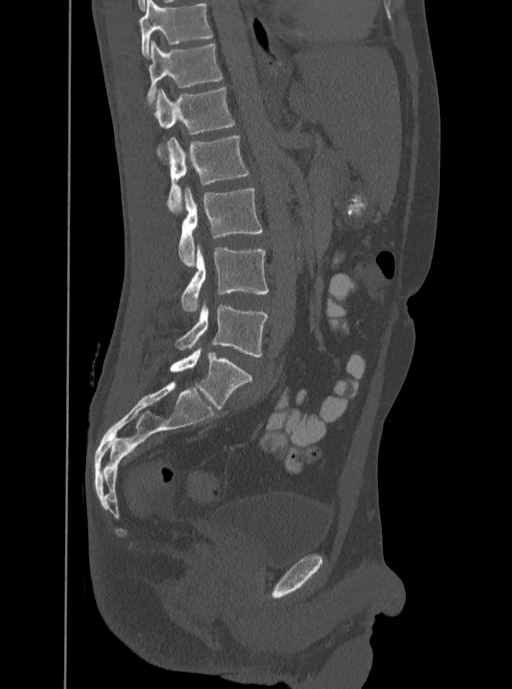 Spine CT · sagittal view · bone-window reconstruction
Boxes are given in columns x1, y1, x2, y2, the pixel coordinates of their top-left and bottom-right corners.
In this scan, the topmost labeled vertebra is T12 and the lowest is L5.
| vertebra | x1 | y1 | x2 | y2 |
|---|---|---|---|---|
| L5 | 175 | 299 | 268 | 357 |
| L4 | 181 | 244 | 268 | 311 |
| L3 | 178 | 187 | 262 | 266 |
| L2 | 164 | 136 | 249 | 212 |
| L1 | 145 | 87 | 234 | 133 |
| T12 | 147 | 39 | 223 | 103 |